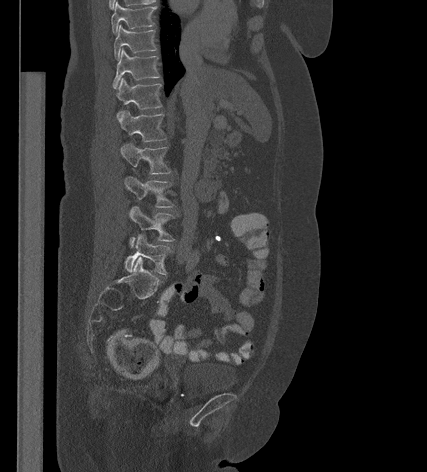
Computed tomography of the spine — sagittal view — 427x472 px
Boxes are (x1, y1, x2, y2) in pixels.
Vertebra bounding boxes:
- T9: (111, 2, 156, 33)
- T10: (114, 25, 156, 59)
- T11: (114, 49, 159, 87)
- T12: (115, 78, 161, 118)
- L1: (119, 111, 166, 141)
- L2: (120, 143, 170, 174)
- L3: (123, 177, 174, 207)
- L4: (128, 206, 174, 245)
- L5: (124, 234, 171, 275)